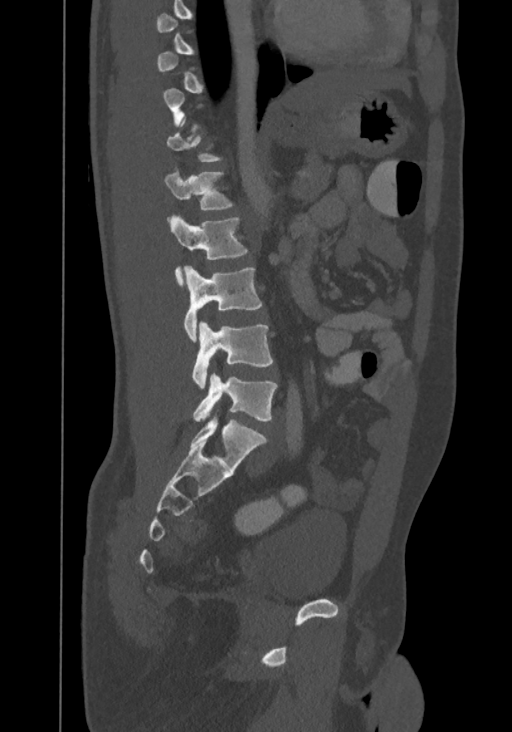 Spine CT. sagittal view. bone-window reconstruction. 512x732 px
Each box is [x1, y1, x2, y2] in pixels: top-left corner, then bottom-right corner.
A vertebra is boxed only from the first to the last slice where its cross-section is at least a third of its largest; slices outside that range leave it without a box.
The highest labeled vertebra in this scan is T8; the lowest is L4.
{"vertebrae":{"T12":[164,164,233,220],"L1":[170,213,247,287],"L2":[184,266,262,341],"L3":[191,321,274,388],"L4":[192,374,276,421]}}